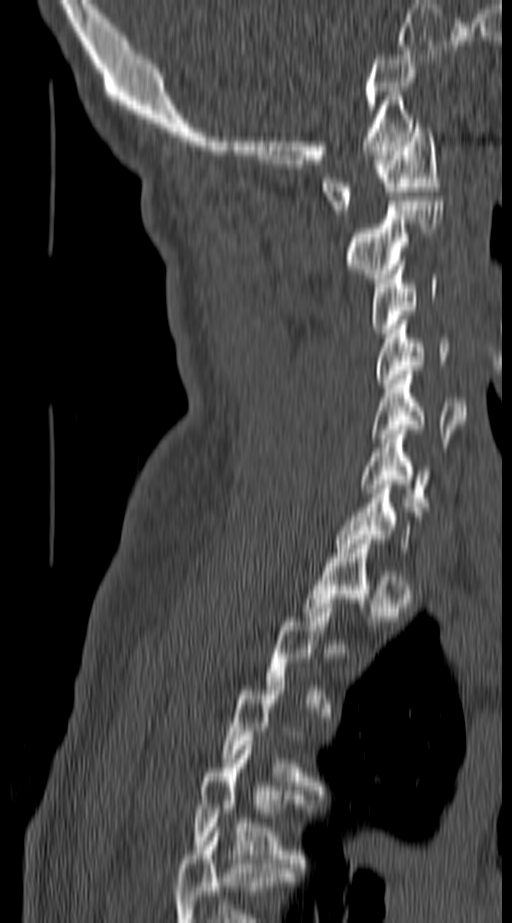
Spine CT. image 140 mm wide. sagittal reformat
Each vertebra is boxed only on the slices from the first to the last where its cross-section reaches a third of its largest, so a slice outside that range leaves it unboxed.
The highest labeled vertebra in this scan is C1; the lowest is T4.
<vertebrae><v name="C1" x1="323" y1="123" x2="441" y2="214"/><v name="C2" x1="345" y1="201" x2="443" y2="282"/><v name="C3" x1="371" y1="261" x2="436" y2="333"/><v name="C4" x1="374" y1="325" x2="452" y2="383"/><v name="C5" x1="371" y1="370" x2="466" y2="442"/><v name="C6" x1="360" y1="430" x2="432" y2="511"/><v name="T4" x1="192" y1="741" x2="308" y2="868"/></vertebrae>